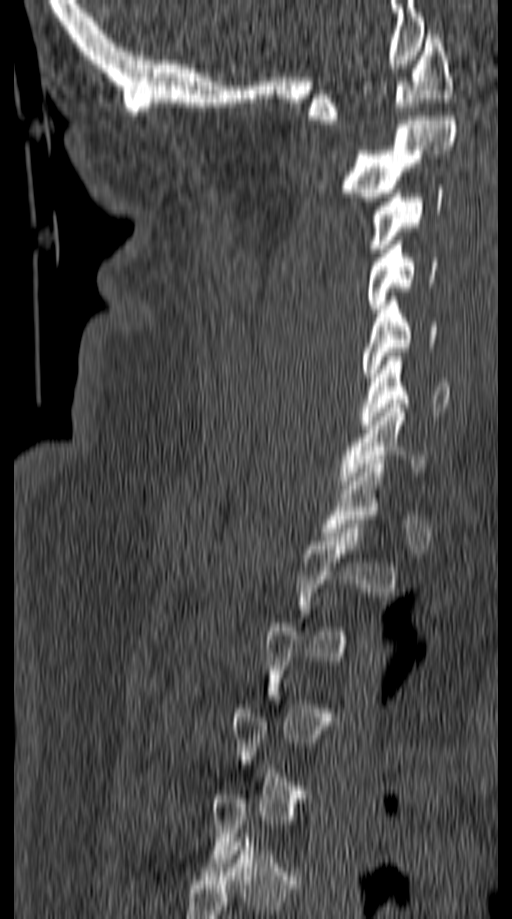 CT, spine; sagittal view; the image spans 149 mm across
Coordinates as <box>x1,y1,x2,y2</box>.
Not every vertebra on this slice has a box: a vertebra is boxed only from the first to the last slice where its cross-section is at least a third of its largest, and this slice is outside that range for at least one of them.
Vertebra bounding boxes:
- C1: <box>309,30,452,124</box>
- C2: <box>341,116,457,201</box>
- C3: <box>369,185,443,252</box>
- C4: <box>367,241,437,308</box>
- C5: <box>362,296,437,381</box>
- C6: <box>359,352,450,429</box>
- C7: <box>336,404,428,489</box>